CT. sagittal view. the image spans 382 mm across
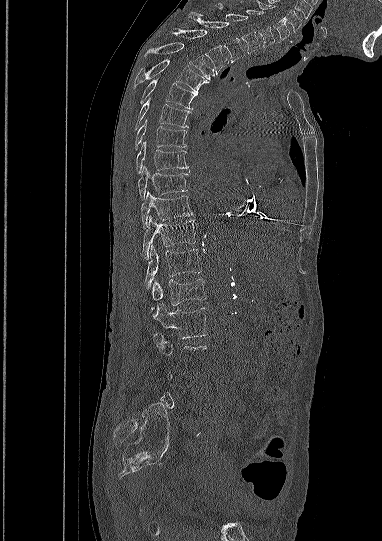
A vertebra gets a box only on the slices from the first to the last where its cross-section is at least a third of its largest; on a slice outside that range it gets none.
<vertebrae><v name="C5" x1="256" y1="0" x2="290" y2="41"/><v name="C6" x1="246" y1="10" x2="275" y2="47"/><v name="C7" x1="215" y1="3" x2="260" y2="53"/><v name="T1" x1="188" y1="11" x2="244" y2="62"/><v name="T2" x1="169" y1="26" x2="228" y2="74"/><v name="T3" x1="145" y1="42" x2="214" y2="80"/><v name="T4" x1="133" y1="58" x2="208" y2="93"/><v name="T5" x1="140" y1="79" x2="197" y2="109"/><v name="T6" x1="134" y1="100" x2="190" y2="129"/><v name="T7" x1="135" y1="119" x2="187" y2="149"/><v name="T8" x1="136" y1="142" x2="187" y2="173"/><v name="T9" x1="138" y1="166" x2="187" y2="199"/><v name="T10" x1="141" y1="191" x2="192" y2="228"/><v name="T11" x1="142" y1="216" x2="195" y2="259"/><v name="T12" x1="144" y1="245" x2="201" y2="288"/><v name="L1" x1="151" y1="279" x2="205" y2="310"/><v name="L2" x1="151" y1="303" x2="208" y2="338"/></vertebrae>